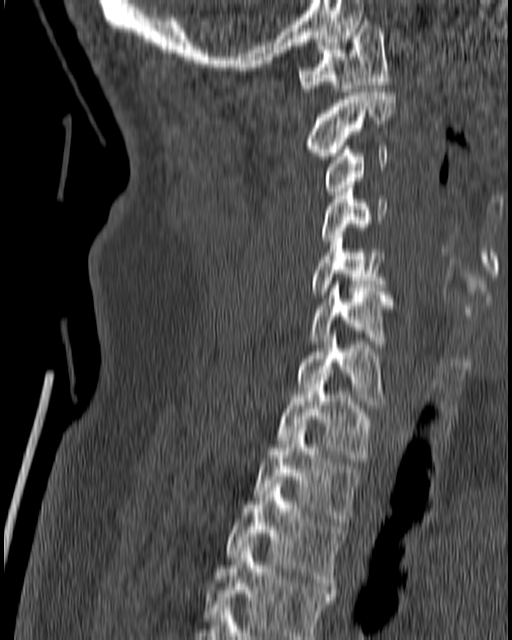 Spine computed tomography; sagittal view

Box values are [left, top, right, bottom] in pixels.
{"vertebrae":{"T4":[203,544,336,639],"T3":[226,480,344,589],"T2":[253,427,358,525],"T1":[277,380,373,461],"C7":[297,331,384,404],"C6":[308,281,392,347],"C5":[308,235,384,294],"C4":[319,185,387,241],"C3":[325,146,387,195],"C2":[305,92,395,159],"C1":[298,21,390,91]}}